CT spine — sagittal view — W/L 1800/400 HU — image width 180 mm
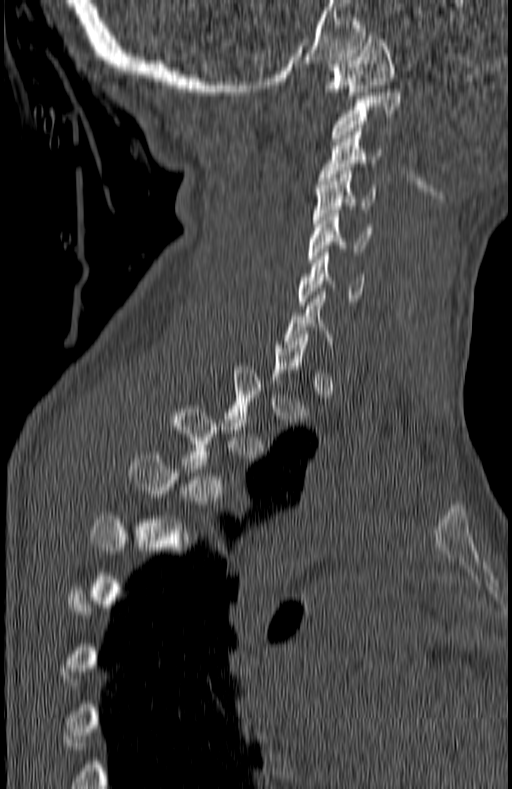 Coordinates as <box>x1,y1,x2,y2</box>.
Not every vertebra on this slice has a box: a vertebra is boxed only from the first to the last slice where its cross-section is at least a third of its largest, and this slice is outside that range for at least one of them.
Vertebra bounding boxes:
- C1: <box>324,36,395,99</box>
- C2: <box>331,89,401,141</box>
- C3: <box>319,128,381,184</box>
- C4: <box>314,171,375,223</box>
- C5: <box>308,210,371,262</box>
- C6: <box>300,252,364,305</box>
- C7: <box>285,295,333,355</box>
- T3: <box>168,409,248,468</box>